Spine CT · Sagittal slice 133/250 · 250 mm across the image · bone-window reconstruction
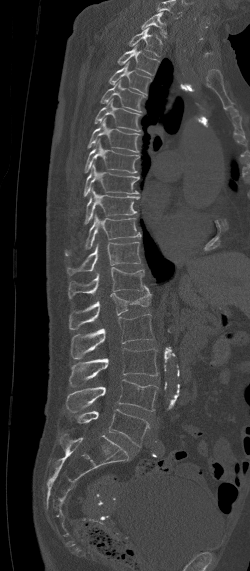
In this scan, the topmost labeled vertebra is C7 and the lowest is L5.
<vertebrae><v name="L5" x1="70" y1="409" x2="150" y2="446"/><v name="L4" x1="66" y1="379" x2="158" y2="412"/><v name="L3" x1="69" y1="348" x2="158" y2="386"/><v name="L2" x1="70" y1="314" x2="155" y2="358"/><v name="L1" x1="69" y1="286" x2="151" y2="329"/><v name="T12" x1="68" y1="267" x2="145" y2="299"/><v name="T11" x1="67" y1="242" x2="140" y2="274"/><v name="T10" x1="64" y1="215" x2="141" y2="256"/><v name="T9" x1="86" y1="189" x2="139" y2="222"/><v name="T8" x1="70" y1="164" x2="139" y2="215"/><v name="T7" x1="84" y1="138" x2="139" y2="173"/><v name="T6" x1="86" y1="119" x2="141" y2="152"/><v name="T5" x1="94" y1="98" x2="140" y2="131"/><v name="T4" x1="101" y1="80" x2="145" y2="112"/><v name="T3" x1="109" y1="61" x2="151" y2="95"/><v name="T2" x1="117" y1="44" x2="159" y2="74"/><v name="T1" x1="128" y1="27" x2="163" y2="56"/><v name="C7" x1="141" y1="12" x2="166" y2="38"/></vertebrae>